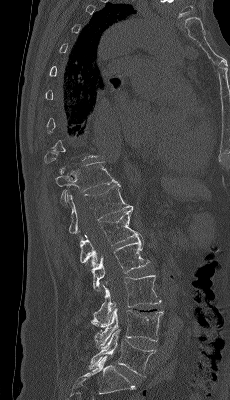 Spine computed tomography — sagittal view — image width 230 mm

Boxes: x1:y1:x2:y2 in pixels. Not every vertebra on this slice has a box: a vertebra is boxed only from the first to the last slice where its cross-section is at least a third of its largest, and this slice is outside that range for at least one of them. Vertebrae labeled: L5 at 88:329:156:376, L4 at 94:308:163:347, L3 at 91:275:161:327, L2 at 91:234:149:292, L1 at 79:210:139:268, T12 at 67:183:133:237, T11 at 55:161:118:204.